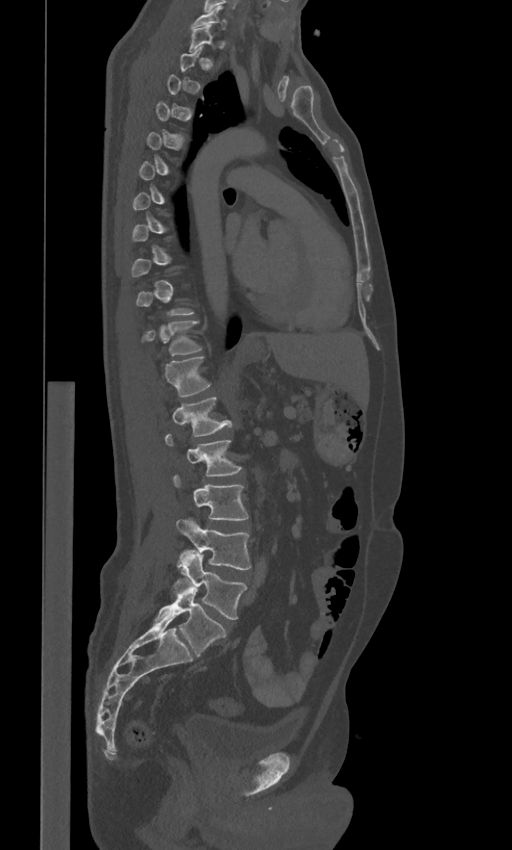

CT spine · 443 mm across the image · sagittal view. Boxes: x1 y1 x2 y2 (pixel coords, space-separated). Not every vertebra on this slice has a box: a vertebra is boxed only from the first to the last slice where its cross-section is at least a third of its largest, and this slice is outside that range for at least one of them. These labels give the spine a sixth lumbar vertebra, L6, below L5. The labeled vertebrae in this slice are: C7 at 192 7 227 28, T11 at 142 320 201 356, T12 at 165 357 209 397, L1 at 172 396 231 436, L2 at 165 435 240 475, L3 at 173 475 247 519, L4 at 176 519 251 569, L5 at 174 551 246 619, L6 at 155 578 225 656.